Computed tomography of the spine. sagittal view. 444x709 px
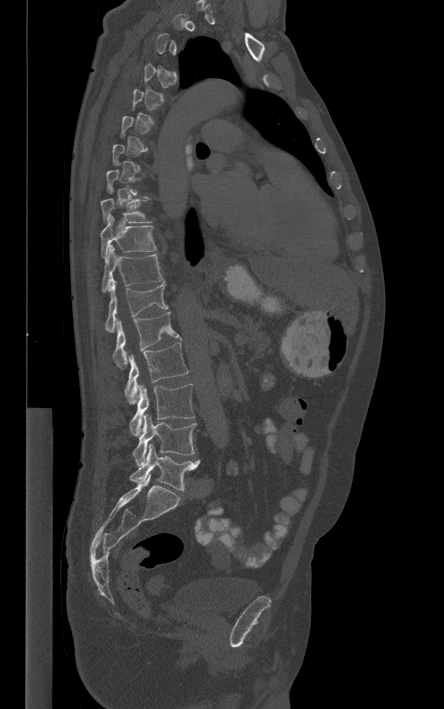
A vertebra gets a box only on the slices from the first to the last where its cross-section is at least a third of its largest; on a slice outside that range it gets none.
<vertebrae><v name="L5" x1="129" y1="444" x2="200" y2="490"/><v name="L4" x1="132" y1="414" x2="196" y2="465"/><v name="L3" x1="130" y1="383" x2="194" y2="436"/><v name="L2" x1="124" y1="342" x2="188" y2="404"/><v name="L1" x1="112" y1="312" x2="181" y2="369"/><v name="T12" x1="104" y1="275" x2="168" y2="332"/><v name="T11" x1="101" y1="245" x2="163" y2="291"/><v name="T10" x1="100" y1="215" x2="156" y2="257"/><v name="T9" x1="101" y1="188" x2="150" y2="223"/></vertebrae>